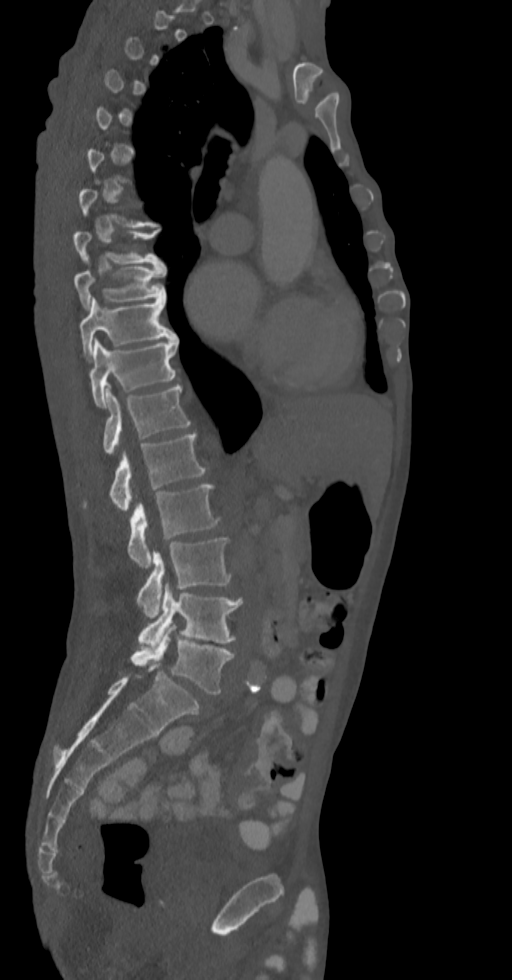

CT, spine; sagittal view; W/L 1800/400 HU
Bounding boxes as [x1, y1, x2, y2] in pixel coordinates. Not every vertebra on this slice has a box: a vertebra is boxed only from the first to the last slice where its cross-section is at least a third of its largest, and this slice is outside that range for at least one of them. The labeled vertebrae in this slice are: T8 at [73, 229, 163, 266], T9 at [73, 264, 165, 310], T10 at [79, 296, 177, 359], T11 at [88, 338, 179, 407], T12 at [102, 386, 191, 455], L1 at [109, 431, 206, 513], L2 at [128, 485, 220, 569], L3 at [137, 538, 230, 618], L4 at [138, 584, 243, 648], L5 at [131, 623, 233, 694].